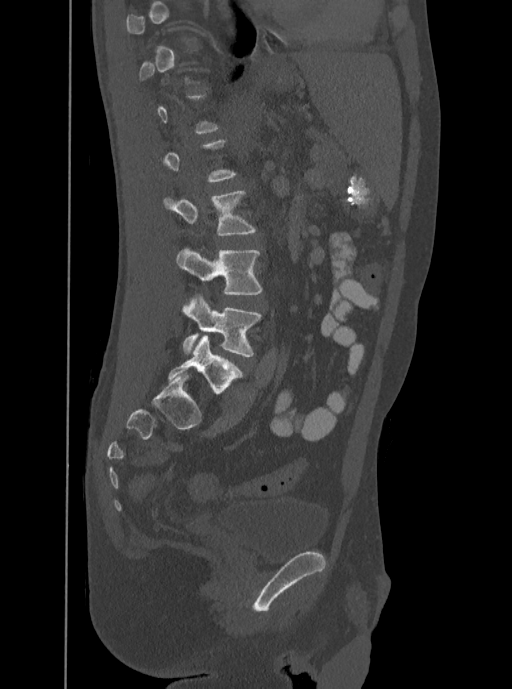

Computed tomography of the spine. sagittal view. bone-window reconstruction
Boxes: x1:y1:x2:y2 in pixels. Not every vertebra on this slice has a box: a vertebra is boxed only from the first to the last slice where its cross-section is at least a third of its largest, and this slice is outside that range for at least one of them. Vertebrae labeled: L3 at 163:190:255:236, L4 at 176:249:262:294, L5 at 181:295:261:356.